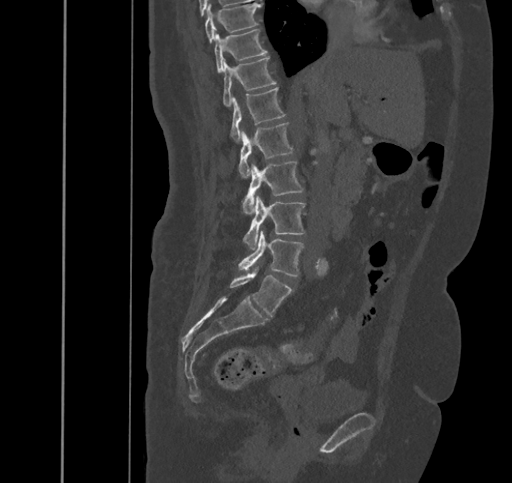 Spine computed tomography · sagittal view
Coordinates as <box>x1,y1,x2,y2</box>.
Vertebra bounding boxes:
- L5: <box>229,271,292,316</box>
- L4: <box>238,231,304,275</box>
- L3: <box>243,196,305,249</box>
- L2: <box>243,162,304,213</box>
- L1: <box>238,122,293,178</box>
- T12: <box>230,87,285,143</box>
- T11: <box>222,57,276,107</box>
- T10: <box>214,29,267,71</box>
- T9: <box>205,3,260,42</box>